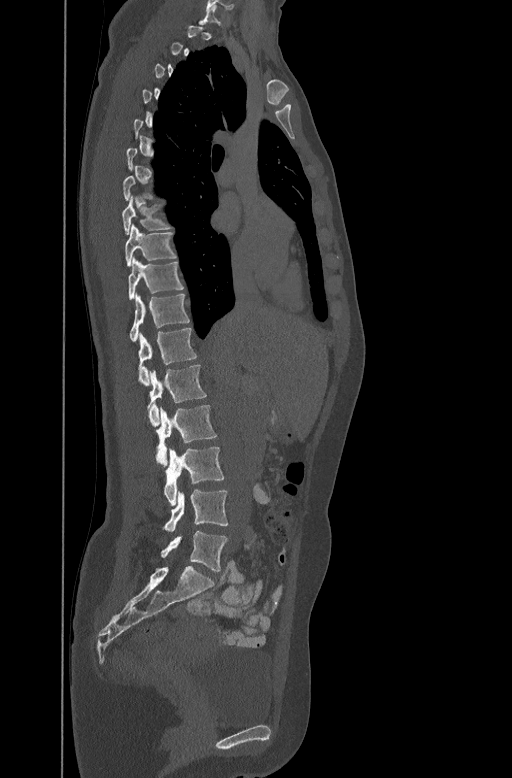

CT spine — sagittal view — bone-window reconstruction — 512x778 px
Each box is [x1, y1, x2, y2] in pixels: top-left corner, then bottom-right corner.
A vertebra gets a box only on the slices from the first to the last where its cross-section is at least a third of its largest; on a slice outside that range it gets none.
{"vertebrae":{"T8":[121,194,171,233],"T9":[125,223,176,266],"T10":[128,258,183,299],"T11":[129,293,189,340],"T12":[139,326,197,384],"L1":[148,364,206,426],"L2":[156,405,217,465],"L3":[164,447,225,506],"L4":[163,490,228,531],"L5":[160,531,228,571]}}